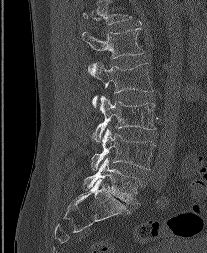

CT, spine — sagittal view — Bone window (WL 400, WW 1800)
The highest labeled vertebra in this scan is L1; the lowest is L5.
<vertebrae><v name="L1" x1="82" y1="28" x2="144" y2="58"/><v name="L2" x1="88" y1="63" x2="153" y2="106"/><v name="L3" x1="93" y1="96" x2="155" y2="142"/><v name="L4" x1="91" y1="128" x2="155" y2="170"/><v name="L5" x1="84" y1="158" x2="140" y2="203"/></vertebrae>